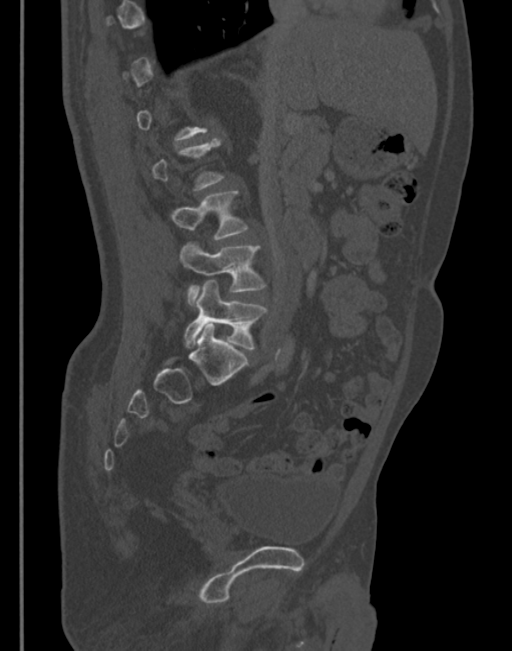
Spine CT · sagittal view · 512x651 px · the image is 345 mm wide

Box edges are left/top/right/bottom in pixels.
A vertebra gets a box only on the slices from the first to the last where its cross-section is at least a third of its largest; on a slice outside that range it gets none.
L3: left=172, top=191, right=248, bottom=239
L4: left=179, top=242, right=264, bottom=304
L5: left=184, top=280, right=266, bottom=350